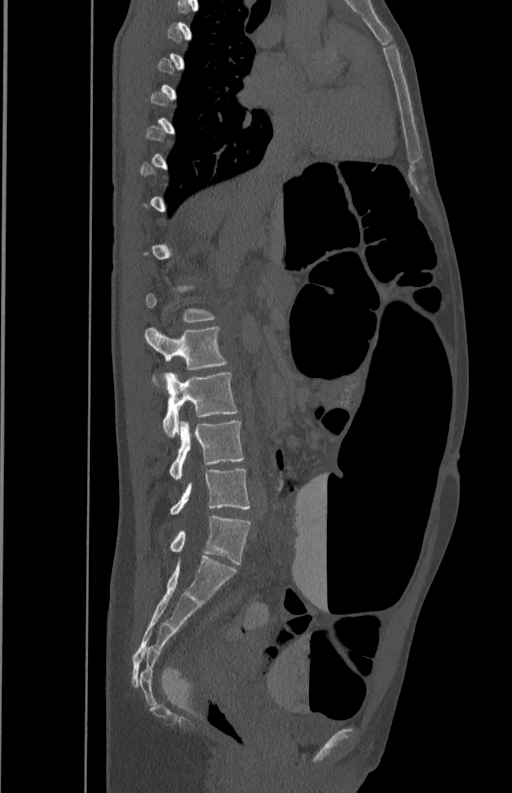
CT — image width 350 mm — sagittal view — Bone window (WL 400, WW 1800)
Columns x1, y1, x2, y2 give each box's top-left and bottom-right pixels.
Not every vertebra on this slice has a box: a vertebra is boxed only from the first to the last slice where its cross-section is at least a third of its largest, and this slice is outside that range for at least one of them.
| vertebra | x1 | y1 | x2 | y2 |
|---|---|---|---|---|
| L2 | 145 | 327 | 227 | 386 |
| L3 | 164 | 373 | 237 | 436 |
| L4 | 169 | 421 | 245 | 478 |
| L5 | 169 | 467 | 250 | 514 |